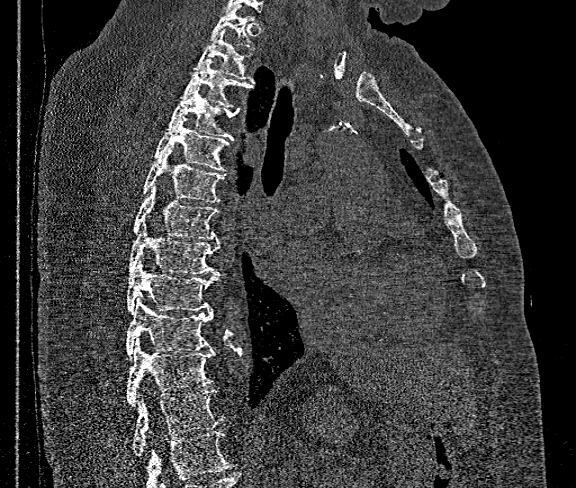

CT — sagittal view — image width 360 mm

Vertebrae that run past the bottom of the scan are left unlabeled.
<vertebrae><v name="T12" x1="133" y1="389" x2="224" y2="457"/><v name="T11" x1="126" y1="340" x2="215" y2="406"/><v name="T10" x1="126" y1="298" x2="213" y2="358"/><v name="T9" x1="126" y1="261" x2="219" y2="313"/><v name="T8" x1="129" y1="220" x2="219" y2="276"/><v name="T7" x1="133" y1="185" x2="218" y2="239"/><v name="T6" x1="142" y1="148" x2="224" y2="203"/><v name="T5" x1="155" y1="117" x2="230" y2="171"/><v name="T4" x1="166" y1="87" x2="239" y2="140"/><v name="T3" x1="182" y1="58" x2="253" y2="108"/><v name="T2" x1="193" y1="29" x2="253" y2="81"/><v name="T1" x1="211" y1="7" x2="253" y2="49"/></vertebrae>